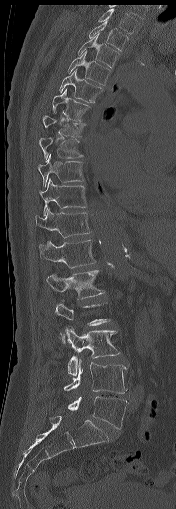

Spine CT; sagittal view; bone-window reconstruction. Boxes are (x1, y1, x2, y2) in pixels. A vertebra gets a box only on the slices from the first to the last where its cross-section is at least a third of its largest; on a slice outside that range it gets none. Vertebrae labeled: L5 at (68, 396, 128, 429), L4 at (64, 359, 127, 393), L3 at (65, 326, 119, 375), L1 at (47, 270, 104, 298), T12 at (39, 240, 95, 268), T11 at (35, 209, 90, 237), T10 at (39, 178, 86, 215), T9 at (38, 154, 86, 187), T8 at (39, 138, 83, 158), T7 at (43, 115, 86, 136), T6 at (52, 89, 91, 121), T5 at (59, 69, 101, 102), T4 at (67, 51, 109, 84), T3 at (78, 33, 118, 67), T2 at (89, 20, 128, 51), T1 at (98, 8, 140, 34).